CT spine. Sagittal slice 146/371. W/L 1800/400 HU. 371x594 px. scan covers 15 annotated vertebrae
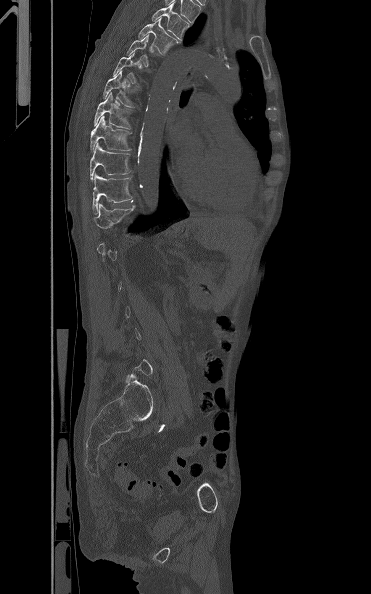 Boxes are (x1, y1, x2, y2) in pixels. A vertebra is boxed only from the first to the last slice where its cross-section is at least a third of its largest; slices outside that range leave it without a box. The labeled vertebrae in this slice are: T12 at (93, 203, 136, 228), T11 at (92, 172, 132, 214), T10 at (90, 142, 131, 180), T9 at (90, 115, 131, 151), T8 at (93, 92, 134, 128), T7 at (102, 70, 140, 107), T6 at (113, 51, 142, 87), T4 at (138, 18, 181, 54), T3 at (151, 3, 188, 40).